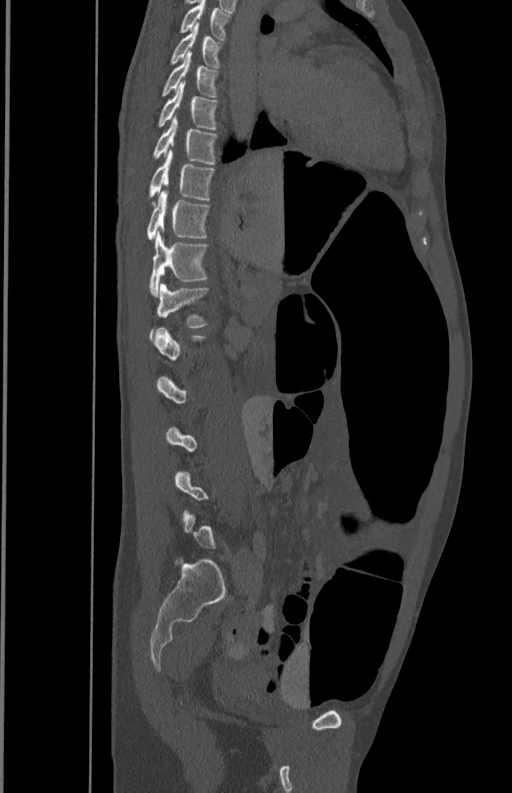
CT spine. sagittal reformat. bone window

Boxes are (x1, y1, x2, y2) in pixels. A vertebra gets a box only on the slices from the first to the last where its cross-section is at least a third of its largest; on a slice outside that range it gets none. The labeled vertebrae in this slice are: L1 at (149, 283, 208, 340), T12 at (149, 230, 206, 295), T11 at (148, 190, 209, 240), T10 at (149, 150, 214, 199), T9 at (153, 117, 217, 164), T8 at (158, 82, 217, 129), T7 at (162, 51, 218, 96), T6 at (171, 24, 221, 67), T5 at (180, 1, 230, 40).